Spine CT · sagittal view · bone window · image 446 mm wide
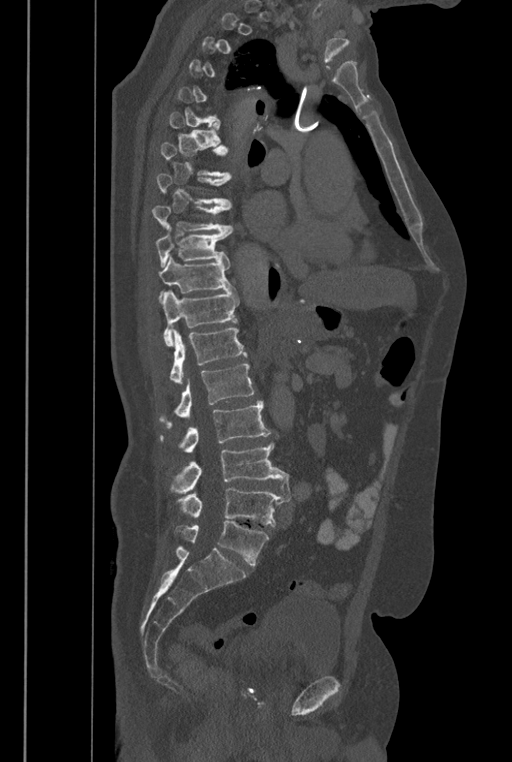

Coordinates as <box>x1,y1,x2,y2</box>.
A vertebra is boxed only from the first to the last slice where its cross-section is at least a third of its largest; slices outside that range leave it without a box.
In these labels the spine has an L6, a sixth lumbar vertebra below L5.
Vertebra bounding boxes:
- L6: <box>174,521,269,565</box>
- L5: <box>177,488,291,526</box>
- L4: <box>170,443,289,494</box>
- L3: <box>159,401,271,453</box>
- L2: <box>159,363,254,427</box>
- L1: <box>170,328,247,383</box>
- T12: <box>162,290,239,346</box>
- T11: <box>158,255,234,300</box>
- T10: <box>156,229,232,268</box>
- T9: <box>151,206,233,234</box>
- T8: <box>156,174,232,210</box>